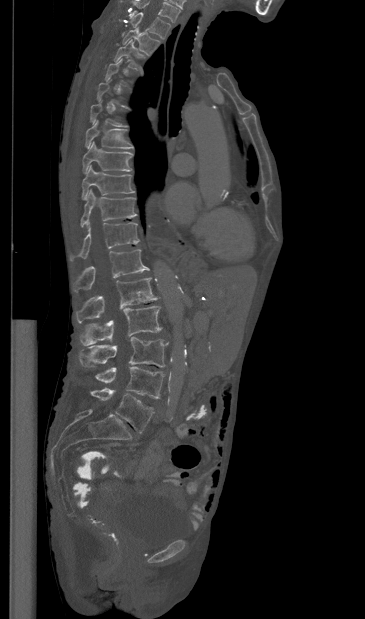 CT, spine. sagittal view. Bone window (WL 400, WW 1800). 365x619 px
Boxes below are [x1, y1, x2, y2] in pixels.
Each vertebra is boxed only on the slices from the first to the last where its cross-section reaches a third of its largest, so a slice outside that range leaves it unboxed.
The highest labeled vertebra in this scan is T1; the lowest is L5.
{"vertebrae":{"T1":[130,12,170,38],"T2":[123,27,160,55],"T3":[114,39,144,69],"T7":[85,120,134,149],"T8":[82,142,132,173],"T9":[82,165,134,199],"T10":[81,189,136,227],"T11":[70,222,139,260],"T12":[73,249,149,291],"L1":[76,277,158,323],"L2":[80,306,162,345],"L3":[79,337,168,367],"L4":[95,366,164,398],"L5":[90,388,154,433]}}